Computed tomography of the spine; sagittal view; some of the image was removed or blocked out with constant pixels
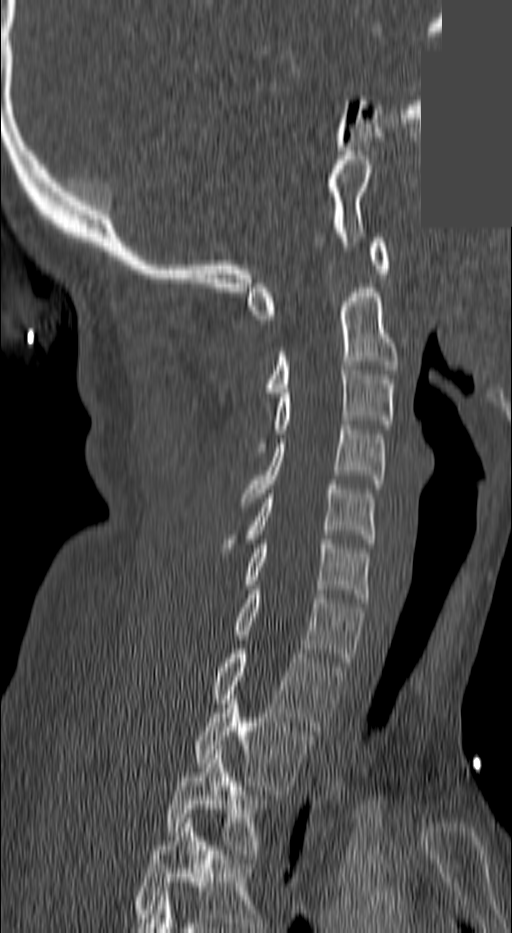
In this scan, the topmost labeled vertebra is C1 and the lowest is T3.
<vertebrae><v name="C1" x1="246" y1="238" x2="388" y2="319"/><v name="C2" x1="268" y1="283" x2="395" y2="397"/><v name="C3" x1="252" y1="366" x2="392" y2="452"/><v name="C4" x1="241" y1="425" x2="384" y2="502"/><v name="C5" x1="246" y1="485" x2="373" y2="543"/><v name="C6" x1="246" y1="539" x2="370" y2="602"/><v name="C7" x1="235" y1="590" x2="362" y2="666"/><v name="T1" x1="213" y1="649" x2="340" y2="730"/><v name="T2" x1="195" y1="699" x2="311" y2="794"/><v name="T3" x1="166" y1="750" x2="260" y2="858"/></vertebrae>